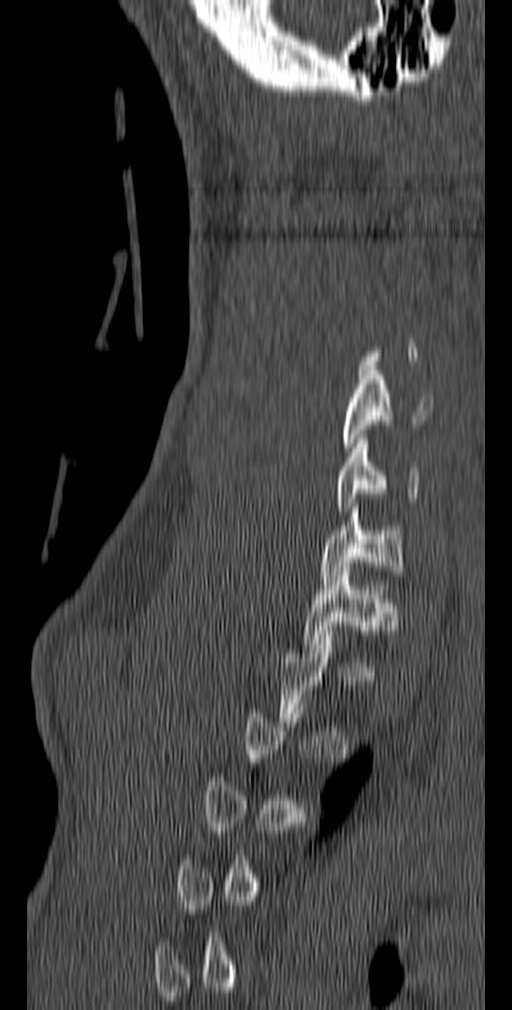 CT spine — sagittal view — image 140 mm wide

Each box given as x1,y1,x2,y2.
A vertebra is boxed only from the first to the last slice where its cross-section is at least a third of its largest; slices outside that range leave it without a box.
Vertebra bounding boxes:
- T1: x1=304, y1=567, x2=399, y2=653
- C7: x1=320, y1=503, x2=406, y2=584
- C6: x1=336, y1=434, x2=420, y2=511
- C5: x1=341, y1=366, x2=432, y2=452